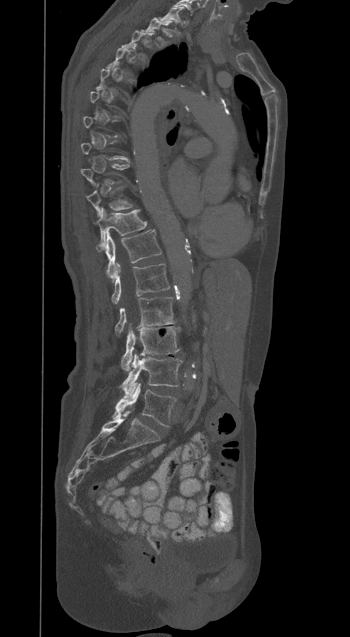 Spine CT — sagittal view

Boxes: x1:y1:x2:y2 in pixels. Not every vertebra on this slice has a box: a vertebra is boxed only from the first to the last slice where its cross-section is at least a third of its largest, and this slice is outside that range for at least one of them. Vertebrae labeled: T1 at 159:7:183:32, T2 at 142:17:170:47, T10 at 87:187:132:216, T11 at 96:208:146:246, T12 at 96:230:161:278, L1 at 111:264:170:304, L2 at 115:297:174:335, L3 at 121:326:179:371, L4 at 120:353:181:396, L5 at 113:383:176:426.